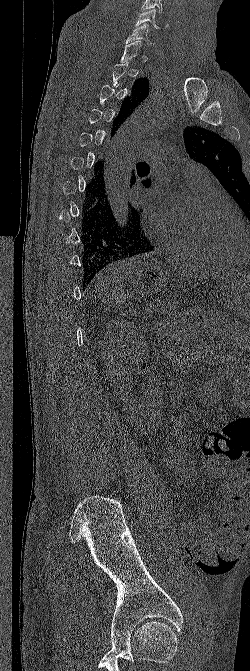
CT, spine — the image spans 250 mm across — sagittal view
Boxes: x1 y1 x2 y2 (pixel coords, space-separated). Not every vertebra on this slice has a box: a vertebra is boxed only from the first to the last slice where its cross-section is at least a third of its largest, and this slice is outside that range for at least one of them. 2 vertebrae labeled — C6 at 135 9 168 28; C7 at 125 23 154 45.